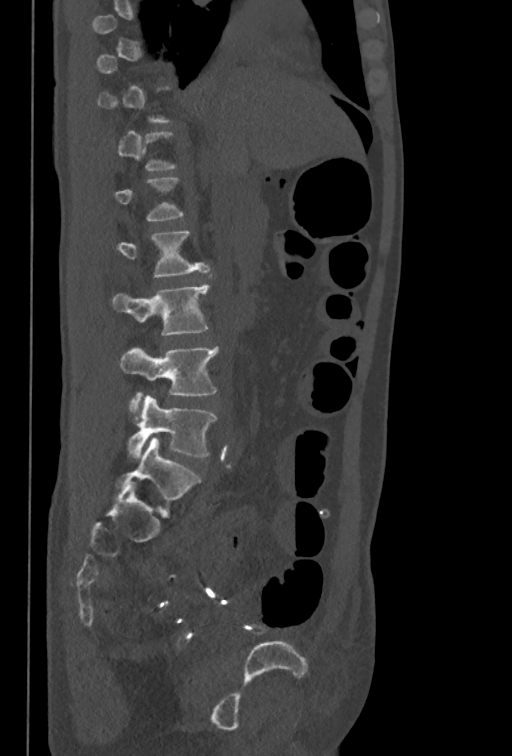 Spine CT. sagittal reformat. 512x756 px. Each row gives a vertebra's box as x1, y1, x2, y2 in pixels: top-left corner, then bottom-right corner.
Not every vertebra on this slice has a box: a vertebra is boxed only from the first to the last slice where its cross-section is at least a third of its largest, and this slice is outside that range for at least one of them.
| vertebra | x1 | y1 | x2 | y2 |
|---|---|---|---|---|
| L5 | 126 | 395 | 217 | 458 |
| L4 | 120 | 348 | 218 | 411 |
| L3 | 112 | 284 | 209 | 335 |
| L2 | 117 | 230 | 209 | 277 |